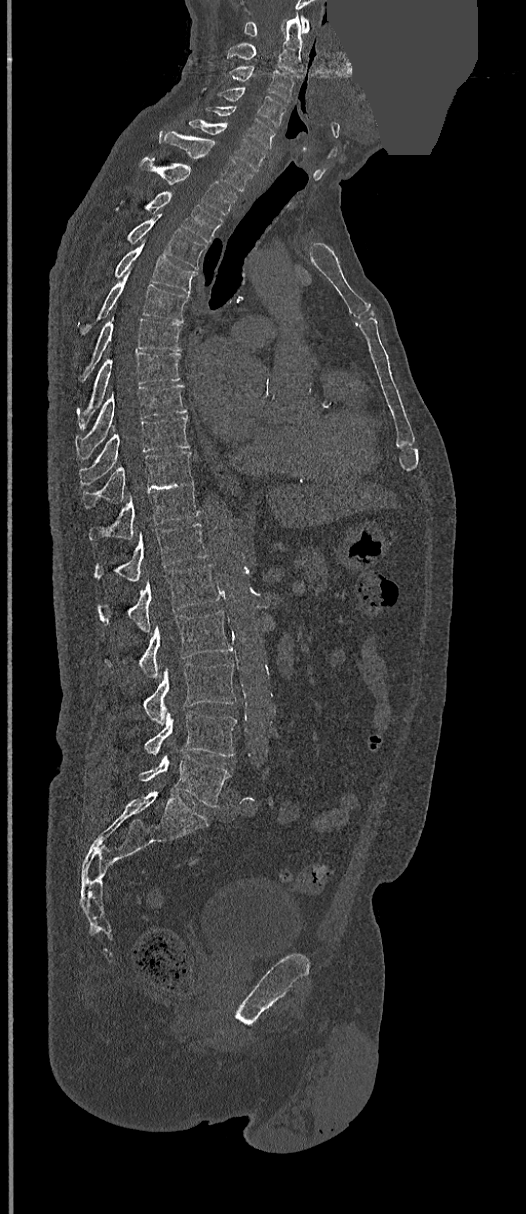

Spine CT · sagittal view · image width 368 mm · bone-window reconstruction · part of the image has been replaced by a constant value

<vertebrae><v name="L5" x1="140" y1="754" x2="230" y2="806"/><v name="L4" x1="144" y1="711" x2="236" y2="756"/><v name="L3" x1="143" y1="663" x2="236" y2="725"/><v name="L2" x1="106" y1="610" x2="233" y2="679"/><v name="L1" x1="97" y1="564" x2="220" y2="632"/><v name="T12" x1="94" y1="523" x2="207" y2="582"/><v name="T11" x1="88" y1="481" x2="199" y2="540"/><v name="T10" x1="82" y1="451" x2="193" y2="509"/><v name="T9" x1="80" y1="417" x2="189" y2="485"/><v name="T8" x1="77" y1="384" x2="186" y2="456"/><v name="T7" x1="77" y1="353" x2="180" y2="422"/><v name="T6" x1="78" y1="317" x2="182" y2="382"/><v name="T5" x1="81" y1="271" x2="189" y2="335"/><v name="T4" x1="114" y1="241" x2="197" y2="293"/><v name="T3" x1="127" y1="214" x2="207" y2="269"/><v name="T2" x1="115" y1="191" x2="222" y2="242"/><v name="T1" x1="139" y1="159" x2="237" y2="215"/><v name="C7" x1="158" y1="130" x2="253" y2="192"/><v name="C6" x1="188" y1="119" x2="266" y2="172"/><v name="C5" x1="205" y1="106" x2="274" y2="149"/><v name="C4" x1="219" y1="87" x2="285" y2="126"/><v name="C3" x1="229" y1="66" x2="296" y2="102"/><v name="C2" x1="227" y1="13" x2="303" y2="76"/><v name="C1" x1="244" y1="17" x2="309" y2="36"/></vertebrae>